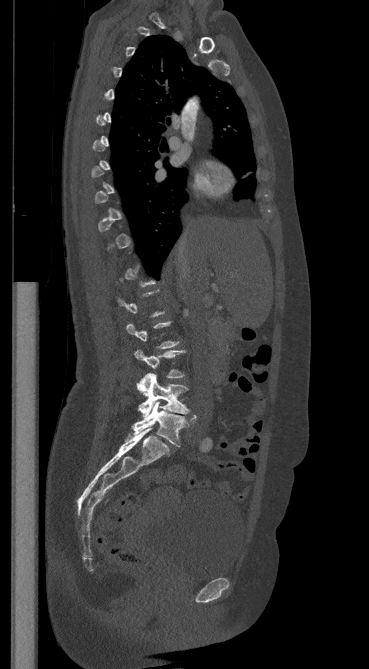 Computed tomography of the spine · 369 mm image width · sagittal view · 369x669 px
Each vertebra is boxed only on the slices from the first to the last where its cross-section reaches a third of its largest, so a slice outside that range leaves it unboxed.
<vertebrae><v name="L3" x1="134" y1="350" x2="184" y2="394"/><v name="L4" x1="138" y1="374" x2="189" y2="417"/><v name="L5" x1="132" y1="401" x2="196" y2="446"/></vertebrae>